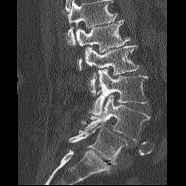
Spine computed tomography. 186 mm across the image. sagittal reformat. 186x186 px

Vertebrae that run past the top of the scan are left unlabeled.
<vertebrae><v name="L1" x1="75" y1="19" x2="130" y2="69"/><v name="L2" x1="84" y1="44" x2="139" y2="95"/><v name="L3" x1="87" y1="69" x2="148" y2="115"/><v name="L4" x1="81" y1="95" x2="149" y2="141"/><v name="L5" x1="68" y1="123" x2="127" y2="164"/></vertebrae>